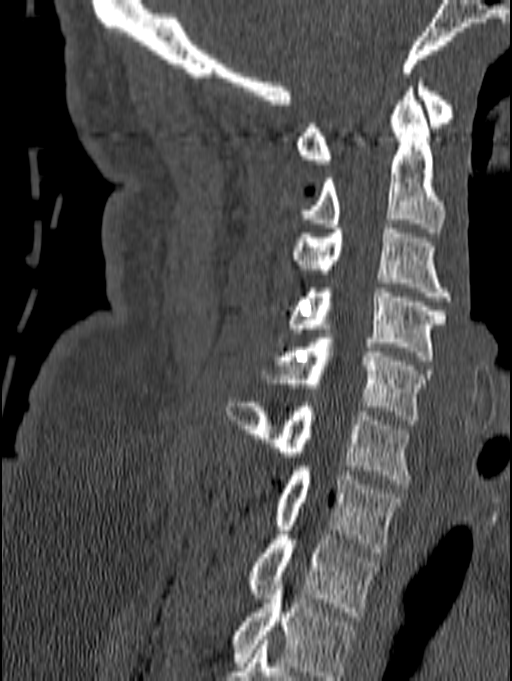
CT — sagittal view — 512x681 px. Bounding boxes as [x1, y1, x2, y2] in pixel coordinates. The highest labeled vertebra in this scan is C1; the lowest is T1. Vertebrae labeled: T1 at [246, 526, 379, 616], C7 at [272, 462, 403, 552], C6 at [225, 402, 410, 484], C5 at [265, 338, 432, 424], C4 at [290, 288, 447, 360], C3 at [294, 229, 451, 305], C2 at [301, 87, 445, 232], C1 at [295, 78, 454, 164].